Spine computed tomography; sagittal view; bone window
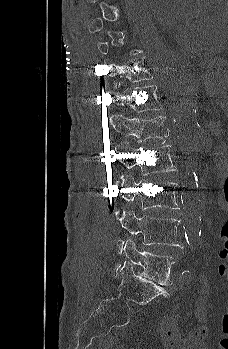 Box values are [left, top, right, bottom] in pixels.
A vertebra gets a box only on the slices from the first to the last where its cross-section is at least a third of its largest; on a slice outside that range it gets none.
{"vertebrae":{"L5":[113,239,176,285],"L4":[117,209,183,253],"L3":[115,173,180,219],"L2":[114,141,177,185],"L1":[110,115,169,142],"T12":[112,83,162,112],"T11":[109,56,153,89]}}